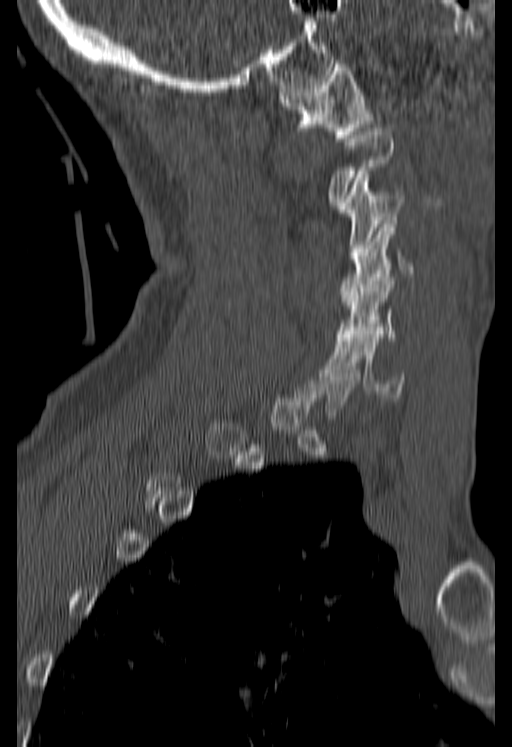

CT spine · sagittal view · bone-window reconstruction · 512x747 px

Boxes: x1 y1 x2 y2 (pixel coords, space-separated).
A vertebra is boxed only from the first to the last slice where its cross-section is at least a third of its largest; slices outside that range leave it without a box.
C1: 279 60 372 141
C3: 337 171 404 259
C4: 339 220 412 301
C5: 336 274 396 340
C6: 326 331 405 397